Computed tomography of the spine; Sagittal slice 81/250; W/L 1800/400 HU; the image is 250 mm wide
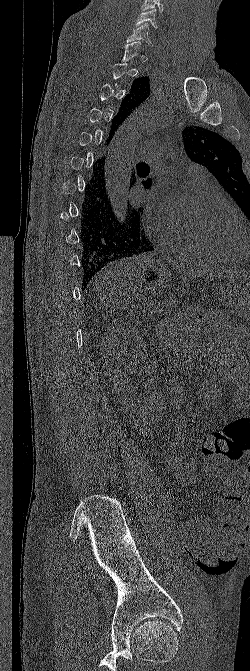 A vertebra is boxed only from the first to the last slice where its cross-section is at least a third of its largest; slices outside that range leave it without a box.
<vertebrae><v name="C6" x1="135" y1="9" x2="157" y2="28"/><v name="C7" x1="126" y1="23" x2="154" y2="44"/></vertebrae>